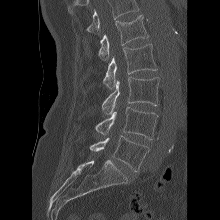
CT; sagittal view; 220 mm across the image; bone window
Each box given as x1,y1,x2,y2.
Where the top of the scan cuts through a vertebra, that vertebra gets no label or box.
| vertebra | x1 | y1 | x2 | y2 |
|---|---|---|---|---|
| L1 | 98 | 15 | 148 | 60 |
| L2 | 103 | 44 | 157 | 88 |
| L3 | 102 | 76 | 159 | 114 |
| L4 | 95 | 107 | 158 | 139 |
| L5 | 89 | 135 | 149 | 171 |